Spine CT. sagittal plane, index 46. 123 mm across the image. 123x242 px. scan covers 8 annotated vertebrae
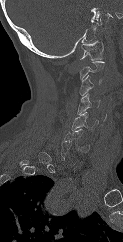

Boxes are (x1, y1, x2, y2) in pixels.
Not every vertebra on this slice has a box: a vertebra is boxed only from the first to the last slice where its cross-section is at least a third of its largest, and this slice is outside that range for at least one of them.
C1: (80, 41, 103, 60)
C3: (79, 75, 101, 95)
C4: (77, 93, 100, 114)
C5: (71, 112, 98, 130)
C6: (62, 129, 89, 152)